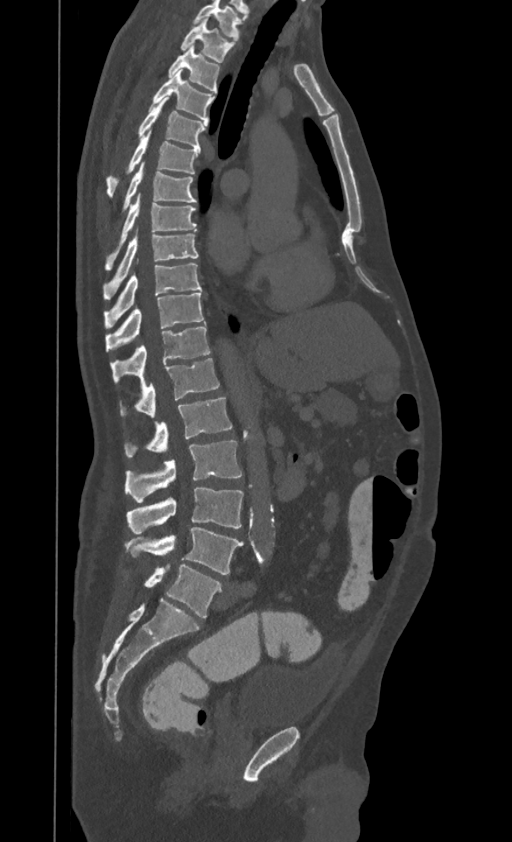 Spine CT. the image spans 395 mm across. sagittal view. Bone window (WL 400, WW 1800)
Bounding boxes as [x1, y1, x2, y2] in pixel coordinates.
In this scan, the topmost labeled vertebra is T1 and the lowest is L4.
Vertebra bounding boxes:
- T1: [181, 17, 233, 62]
- T2: [168, 44, 219, 92]
- T3: [150, 70, 214, 121]
- T4: [139, 97, 206, 148]
- T5: [106, 129, 200, 196]
- T6: [124, 162, 196, 208]
- T7: [106, 192, 196, 268]
- T8: [104, 227, 198, 296]
- T9: [104, 262, 201, 328]
- T10: [105, 293, 204, 350]
- T11: [110, 323, 210, 382]
- T12: [120, 358, 219, 417]
- L1: [126, 397, 232, 456]
- L2: [124, 441, 241, 502]
- L3: [127, 488, 243, 533]
- L4: [124, 527, 243, 574]